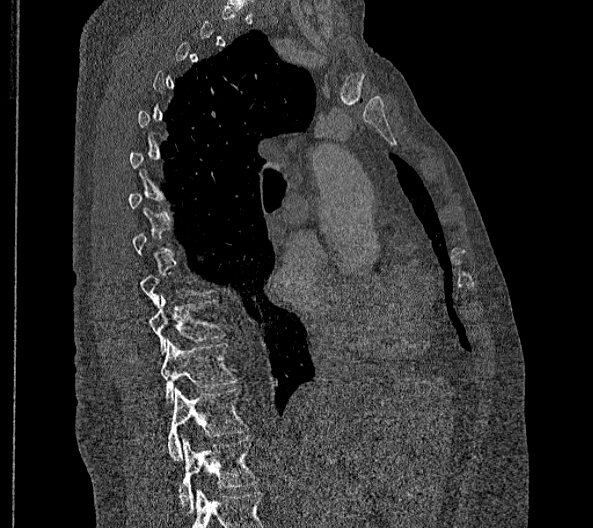

CT · sagittal view · Bone window (WL 400, WW 1800)
Each box is [x1, y1, x2, y2] in pixels: top-left corner, then bottom-right corner.
A vertebra is boxed only from the first to the last slice where its cross-section is at least a third of its largest; slices outside that range leave it without a box.
These labels give this spine no T12: after T11 the next vertebra is L1.
{"vertebrae":{"L2":[178,438,257,512],"L1":[167,388,247,460],"T11":[160,339,237,403],"T10":[148,295,224,355]}}